Computed tomography of the spine. sagittal reformat. a region of this slice is masked with a uniform fill
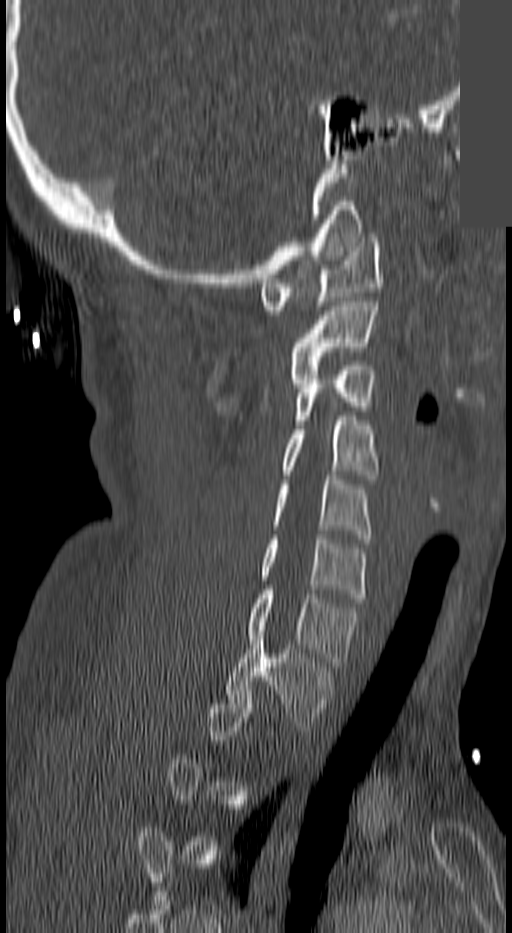 Boxes: x1:y1:x2:y2 in pixels.
A vertebra gets a box only on the slices from the first to the last where its cross-section is at least a third of its largest; on a slice outside that range it gets none.
C1: 261:238:381:314
C2: 290:302:377:378
C3: 294:361:373:424
C4: 283:416:377:479
C5: 272:475:370:538
C6: 261:535:366:602
C7: 246:590:355:666
T1: 225:635:329:730